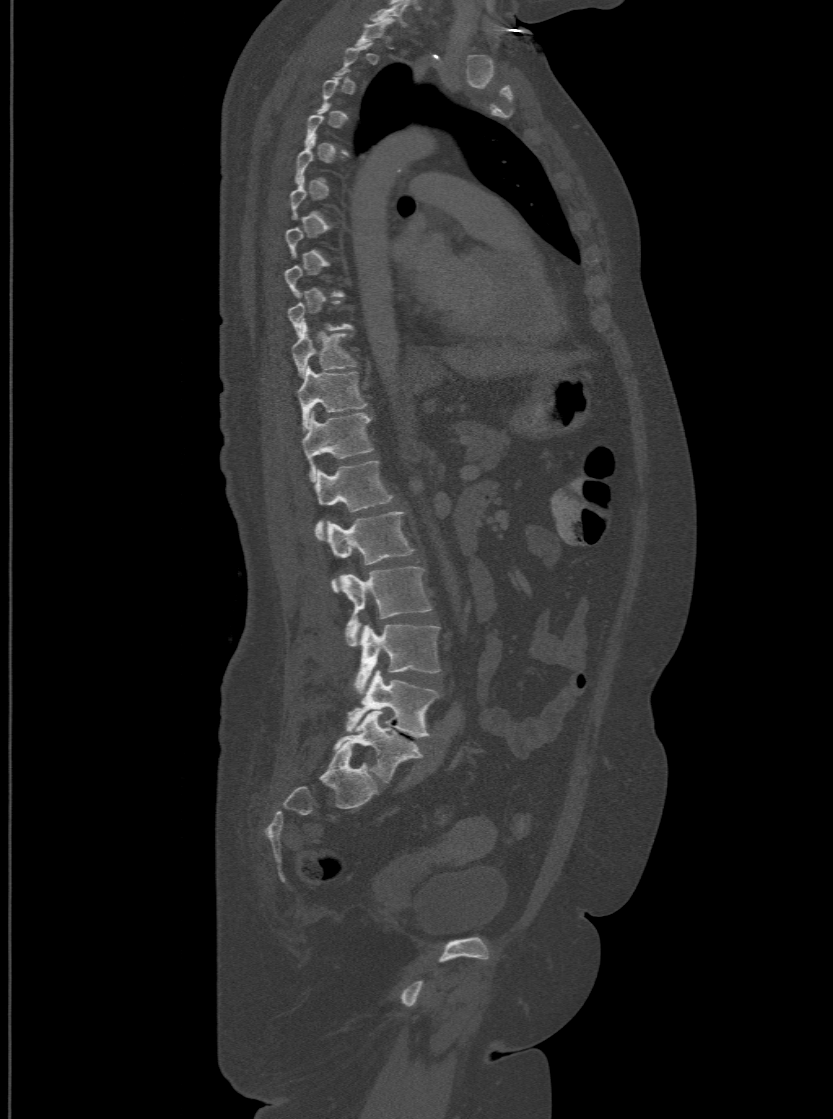 Spine CT; sagittal view; Bone window (WL 400, WW 1800); 833x1119 px

Coordinates as <box>x1,y1,x2,y2</box>. A vertebra gets a box only on the slices from the first to the last where its cross-section is at least a third of its largest; on a slice outside that range it gets none. These labels give the spine a sixth lumbar vertebra, L6, below L5. 9 vertebrae labeled — T10 at <box>291,322,355,374</box>; T11 at <box>298,365,367,429</box>; T12 at <box>301,410,372,479</box>; L1 at <box>316,460,393,537</box>; L2 at <box>327,510,414,592</box>; L3 at <box>342,566,430,645</box>; L4 at <box>355,624,438,693</box>; L5 at <box>347,671,438,737</box>; L6 at <box>335,711,422,782</box>.